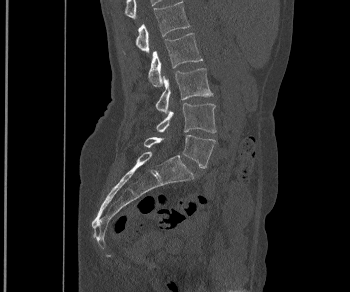 CT · sagittal view · W/L 1800/400 HU
<vertebrae><v name="L5" x1="144" y1="135" x2="216" y2="168"/><v name="L4" x1="156" y1="103" x2="216" y2="132"/><v name="L3" x1="155" y1="68" x2="212" y2="113"/><v name="L2" x1="148" y1="33" x2="202" y2="87"/><v name="L1" x1="136" y1="1" x2="190" y2="53"/></vertebrae>